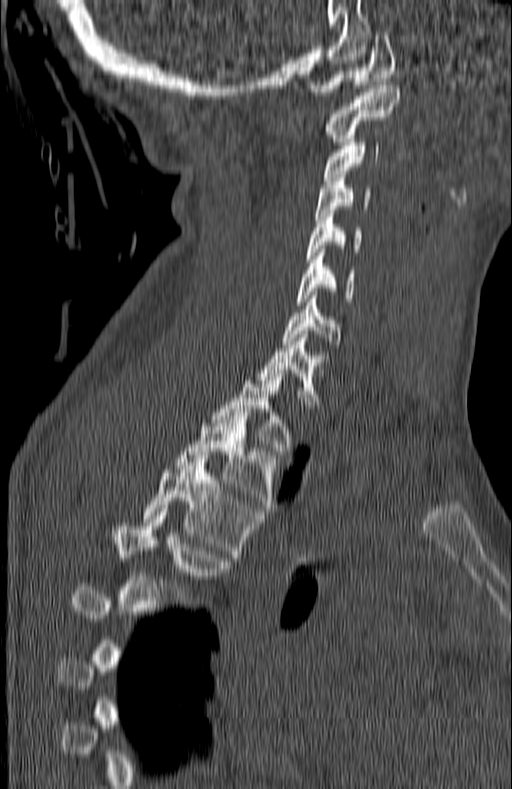
CT — sagittal view — W/L 1800/400 HU

Box edges are left/top/right/bottom in pixels. Not every vertebra on this slice has a box: a vertebra is boxed only from the first to the last slice where its cross-section is at least a third of its largest, and this slice is outside that range for at least one of them. Vertebrae labeled: C1 at left=308, top=32, right=395, bottom=95, C2 at left=325, top=85, right=398, bottom=141, C3 at left=324, top=139, right=381, bottom=180, C4 at left=314, top=174, right=370, bottom=219, C5 at left=306, top=210, right=361, bottom=262, C6 at left=297, top=249, right=355, bottom=305, C7 at left=283, top=295, right=338, bottom=344, T1 at left=257, top=334, right=328, bottom=408, T2 at left=211, top=373, right=290, bottom=454, T3 at left=177, top=412, right=279, bottom=511, T4 at left=142, top=462, right=259, bottom=557, T5 at left=100, top=516, right=227, bottom=600.